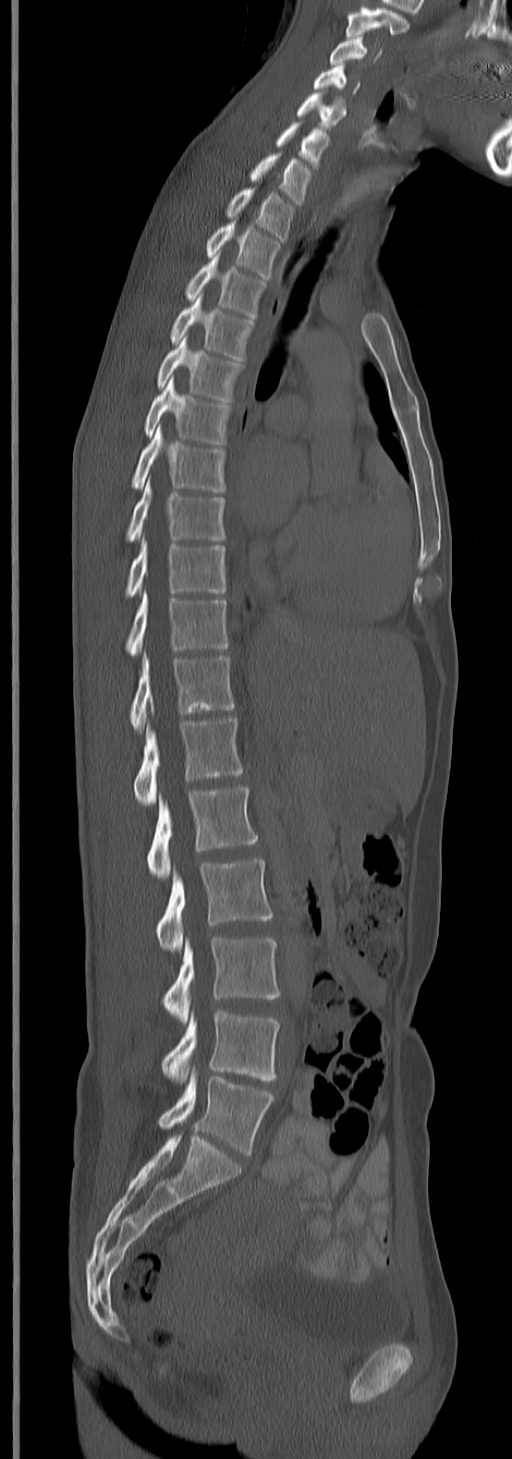
CT; image 245 mm wide; sagittal reformat. Each box given as x1,y1,x2,y2. This scan's labels start at C3 at the top and end at L5 at the bottom. Vertebrae labeled: C3 at x1=329, y1=34, x2=382, y2=64, C4 at x1=312, y1=65, x2=361, y2=94, C5 at x1=297, y1=93, x2=347, y2=128, C6 at x1=276, y1=124, x2=330, y2=169, C7 at x1=249, y1=153, x2=311, y2=204, T1 at x1=226, y1=189, x2=294, y2=240, T2 at x1=205, y1=222, x2=280, y2=280, T3 at x1=184, y1=256, x2=267, y2=319, T4 at x1=170, y1=295, x2=255, y2=361, T5 at x1=157, y1=337, x2=244, y2=403, T6 at x1=145, y1=377, x2=229, y2=445, T7 at x1=130, y1=425, x2=225, y2=493, T8 at x1=126, y1=479, x2=225, y2=541, T9 at x1=124, y1=538, x2=225, y2=597, T10 at x1=126, y1=590, x2=229, y2=656, T11 at x1=130, y1=653, x2=234, y2=731, T12 at x1=132, y1=718, x2=242, y2=804, L1 at x1=147, y1=786, x2=259, y2=880, L2 at x1=155, y1=858, x2=273, y2=951, L3 at x1=164, y1=937, x2=280, y2=1024, L4 at x1=161, y1=1010, x2=280, y2=1082, L5 at x1=157, y1=1069, x2=273, y2=1155.